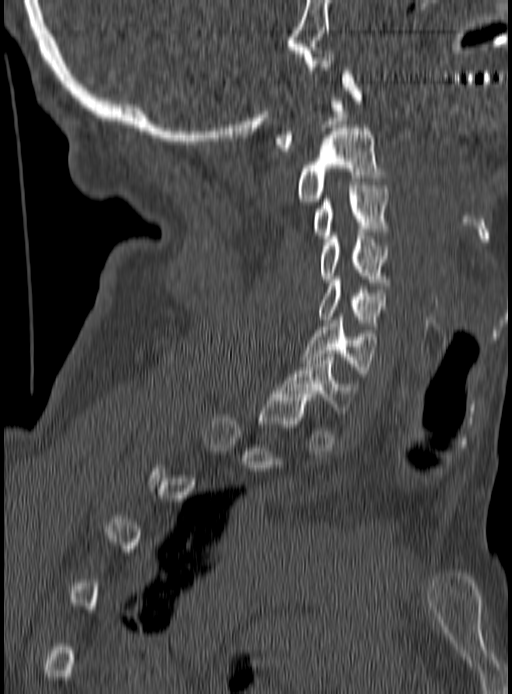 Spine computed tomography. sagittal view. 512x694 px
Coordinates as <box>x1,y1,x2,y2</box>.
Not every vertebra on this slice has a box: a vertebra is boxed only from the first to the last slice where its cross-section is at least a third of its largest, and this slice is outside that range for at least one of them.
Vertebra bounding boxes:
- C1: <box>275,67,361,151</box>
- C2: <box>297,128,383,201</box>
- C3: <box>313,182,388,238</box>
- C4: <box>319,232,388,285</box>
- C5: <box>319,280,385,329</box>
- C6: <box>303,317,374,376</box>
- C7: <box>278,354,359,413</box>